Computed tomography of the spine. Sagittal slice 263/512. W/L 1800/400 HU
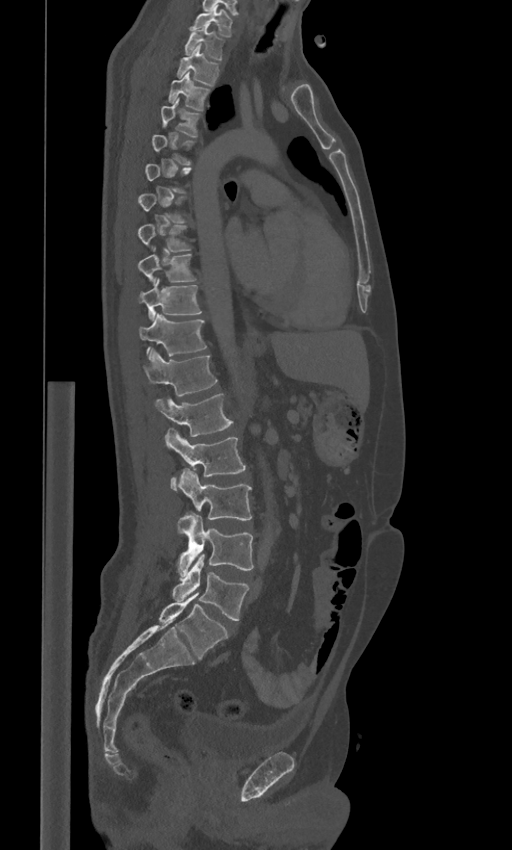 Each vertebra maps to its box as [x1, y1, x2, y2], the pixel coordinates of its top-left and bottom-right corners.
Each vertebra is boxed only on the slices from the first to the last where its cross-section reaches a third of its largest, so a slice outside that range leaves it unboxed.
These labels give the spine a sixth lumbar vertebra, L6, below L5.
{"vertebrae":{"C7":[191,5,232,36],"T1":[184,27,224,60],"T2":[177,44,220,86],"T3":[168,71,210,110],"T4":[161,98,202,137],"T8":[137,224,191,252],"T9":[139,245,197,283],"T10":[140,278,202,320],"T11":[137,312,207,356],"T12":[142,348,217,395],"L1":[155,393,232,436],"L2":[165,428,246,489],"L3":[178,469,252,533],"L4":[178,515,253,575],"L5":[172,555,249,620],"L6":[159,593,228,658]}}